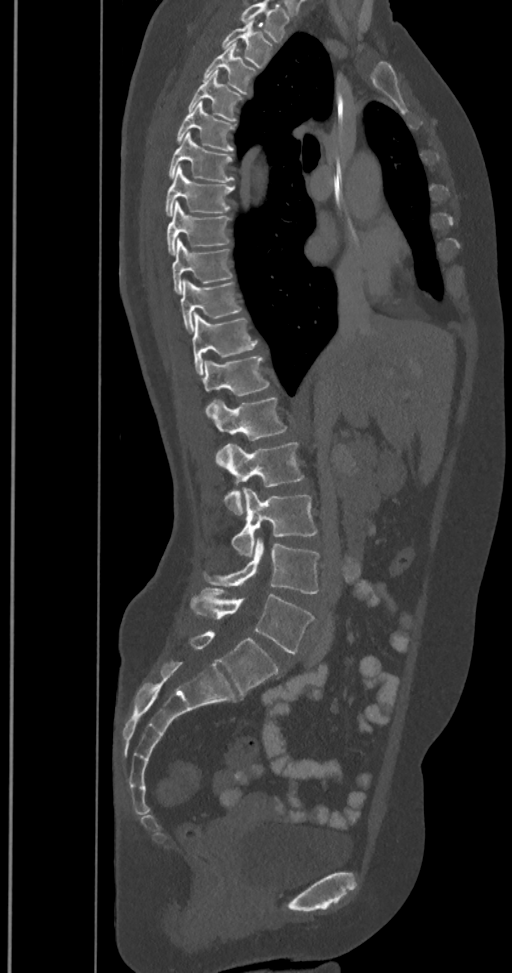 Spine computed tomography — sagittal reformat — W/L 1800/400 HU
This scan's labels start at T2 at the top and end at L6 at the bottom.
The labels name a sixth lumbar vertebra for this spine: L6, after L5.
<vertebrae><v name="T2" x1="222" y1="21" x2="272" y2="67"/><v name="T3" x1="203" y1="45" x2="256" y2="92"/><v name="T4" x1="188" y1="71" x2="243" y2="120"/><v name="T5" x1="177" y1="101" x2="236" y2="152"/><v name="T6" x1="168" y1="132" x2="233" y2="182"/><v name="T7" x1="165" y1="166" x2="234" y2="216"/><v name="T8" x1="167" y1="203" x2="231" y2="254"/><v name="T9" x1="171" y1="238" x2="233" y2="294"/><v name="T10" x1="180" y1="279" x2="242" y2="332"/><v name="T11" x1="192" y1="312" x2="258" y2="374"/><v name="T12" x1="202" y1="355" x2="269" y2="416"/><v name="L1" x1="212" y1="396" x2="287" y2="468"/><v name="L2" x1="224" y1="442" x2="303" y2="514"/><v name="L3" x1="231" y1="487" x2="316" y2="557"/><v name="L4" x1="205" y1="537" x2="319" y2="593"/><v name="L5" x1="190" y1="589" x2="315" y2="653"/><v name="L6" x1="188" y1="631" x2="280" y2="695"/></vertebrae>